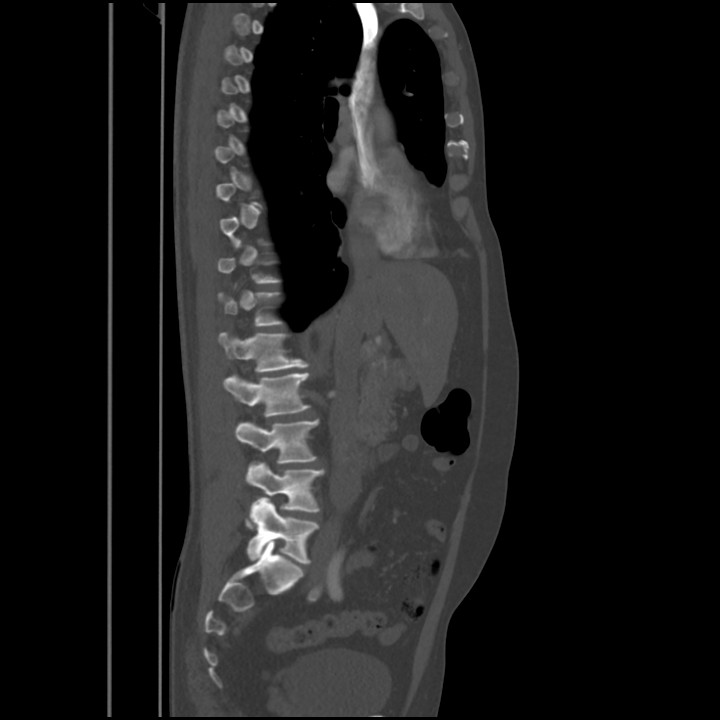
Computed tomography of the spine; sagittal reformat; bone window; 720x720 px
Box values are [left, top, right, bottom] in pixels.
Not every vertebra on this slice has a box: a vertebra is boxed only from the first to the last slice where its cross-section is at least a third of its largest, and this slice is outside that range for at least one of them.
{"vertebrae":{"L1":[218,333,310,371],"L2":[224,373,309,416],"L3":[235,420,319,463],"L4":[246,463,324,518],"L5":[246,499,319,563]}}